CT spine; 360 mm across the image; Sagittal slice 271/512; 576x488 px; scan covers 12 annotated vertebrae
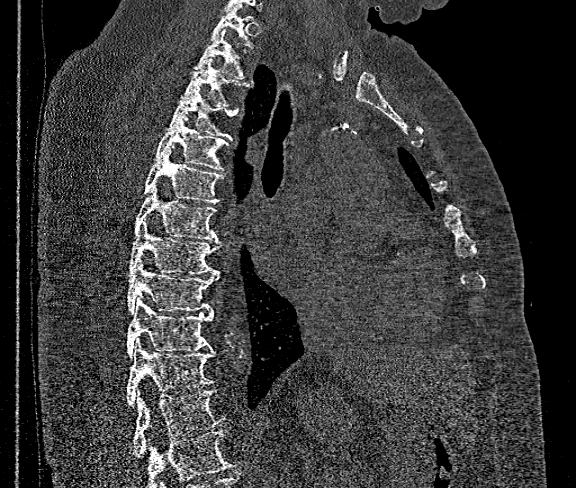

Columns x1, y1, x2, y2 give each box's top-left and bottom-right pixels.
Where the bottom of the scan cuts through a vertebra, that vertebra gets no label or box.
| vertebra | x1 | y1 | x2 | y2 |
|---|---|---|---|---|
| T1 | 211 | 7 | 253 | 47 |
| T2 | 195 | 29 | 243 | 78 |
| T3 | 182 | 58 | 249 | 105 |
| T4 | 166 | 87 | 237 | 139 |
| T5 | 155 | 115 | 226 | 171 |
| T6 | 142 | 148 | 223 | 203 |
| T7 | 134 | 185 | 216 | 239 |
| T8 | 129 | 218 | 219 | 275 |
| T9 | 128 | 260 | 219 | 313 |
| T10 | 126 | 298 | 213 | 358 |
| T11 | 126 | 341 | 215 | 406 |
| T12 | 134 | 391 | 224 | 457 |